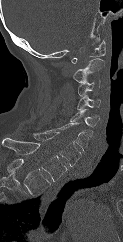
CT. sagittal reformat. the image spans 123 mm across. bone window
Box edges are left/top/right/bottom in pixels.
Labels in this scan begin with C1 at the top and end with T1 at the bottom.
| vertebra | x1 | y1 | x2 | y2 |
|---|---|---|---|---|
| C1 | 71 | 40 | 105 | 63 |
| C2 | 73 | 58 | 105 | 82 |
| C3 | 78 | 80 | 100 | 96 |
| C4 | 77 | 95 | 100 | 109 |
| C5 | 70 | 109 | 100 | 127 |
| C6 | 45 | 122 | 93 | 151 |
| C7 | 32 | 132 | 81 | 166 |
| T1 | 2 | 138 | 67 | 181 |